CT, spine — sagittal plane, index 271 — 9 vertebrae labeled in this scan
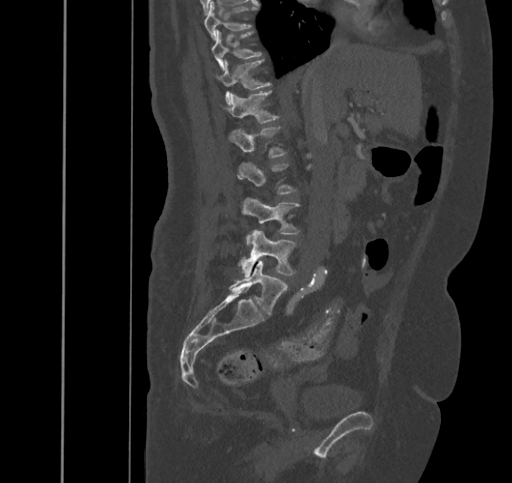
Each box given as x1,y1,x2,y2.
T9: x1=205, y1=2, x2=257, y2=40
T10: x1=212, y1=30, x2=261, y2=71
T11: x1=216, y1=59, x2=270, y2=105
T12: x1=221, y1=90, x2=280, y2=122
L1: x1=229, y1=126, x2=287, y2=157
L2: x1=238, y1=162, x2=297, y2=194
L3: x1=243, y1=197, x2=299, y2=245
L4: x1=241, y1=230, x2=296, y2=277
L5: x1=229, y1=257, x2=288, y2=314